CT; 395 mm wide; sagittal plane, index 265; 512x842 px
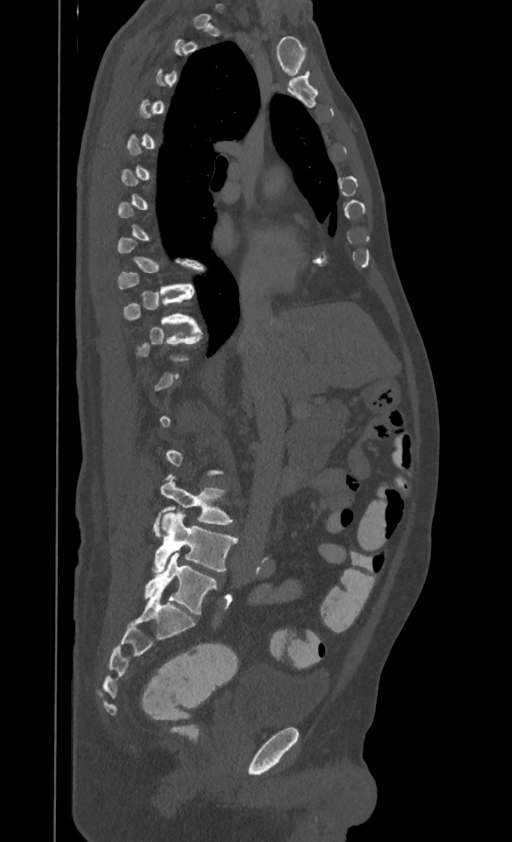

Box edges are left/top/right/bottom in pixels. Each vertebra is boxed only on the slices from the first to the last where its cross-section reaches a third of its largest, so a slice outside that range leaves it unboxed. This scan's labels start at T1 at the top and end at L4 at the bottom. Vertebrae labeled: T10 at left=124, top=292, right=196, bottom=326, L3 at left=153, top=475, right=232, bottom=536, L4 at left=153, top=511, right=237, bottom=573.